Spine CT · sagittal plane, index 80 · bone window
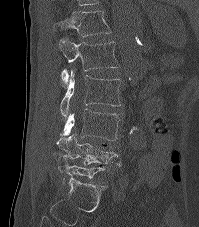

Each row gives a vertebra's box as x1, y1, x2, y2 in pixels: top-left corner, then bottom-right corner.
The highest labeled vertebra in this scan is T12; the lowest is L5.
| vertebra | x1 | y1 | x2 | y2 |
|---|---|---|---|---|
| T12 | 53 | 11 | 110 | 37 |
| L1 | 58 | 39 | 119 | 88 |
| L2 | 60 | 69 | 120 | 117 |
| L3 | 60 | 109 | 119 | 141 |
| L4 | 56 | 132 | 121 | 166 |
| L5 | 58 | 158 | 105 | 184 |